CT · sagittal plane, index 249 · 368 mm across the image · bone window · 526x1214 px · a region of this slice is masked with a uniform fill
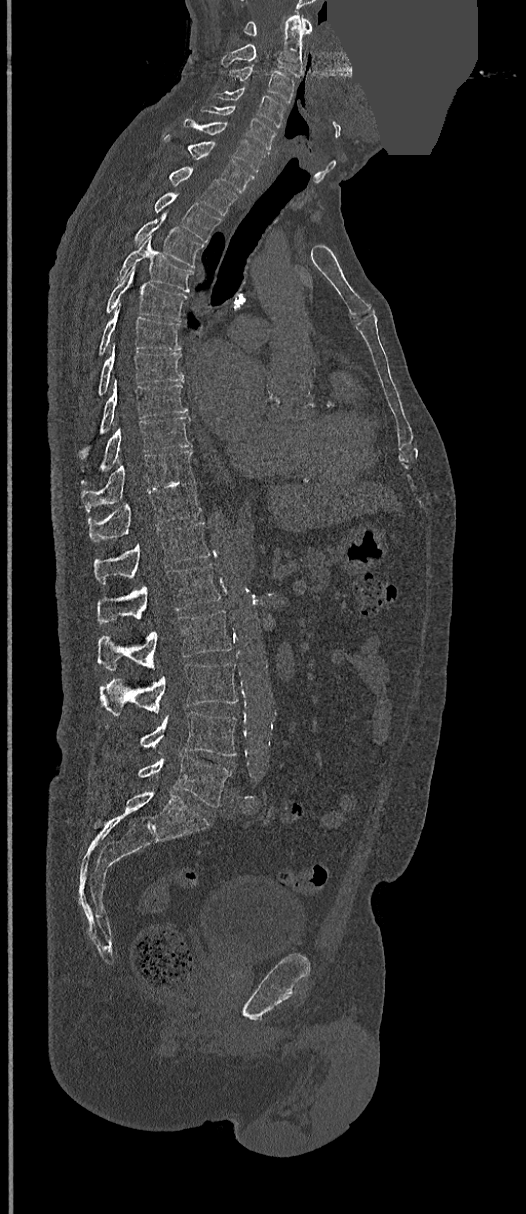 Each vertebra maps to its box as [x1, y1, x2, y2], the pixel coordinates of its top-left and bottom-right corners.
{"vertebrae":{"C1":[244,16,311,36],"C2":[221,13,303,76],"C3":[230,66,295,103],"C4":[213,87,285,126],"C5":[201,106,276,150],"C6":[184,119,267,172],"C7":[165,137,253,192],"T1":[168,167,236,215],"T2":[154,193,220,242],"T3":[135,209,204,268],"T4":[118,237,193,292],"T5":[106,266,187,322],"T6":[100,306,180,355],"T7":[99,344,183,395],"T8":[82,380,187,453],"T9":[102,417,192,470],"T10":[81,450,194,513],"T11":[88,480,200,542],"T12":[94,521,211,583],"L1":[97,564,220,623],"L2":[97,610,232,670],"L3":[100,663,237,715],"L4":[106,711,236,756],"L5":[139,754,230,808]}}